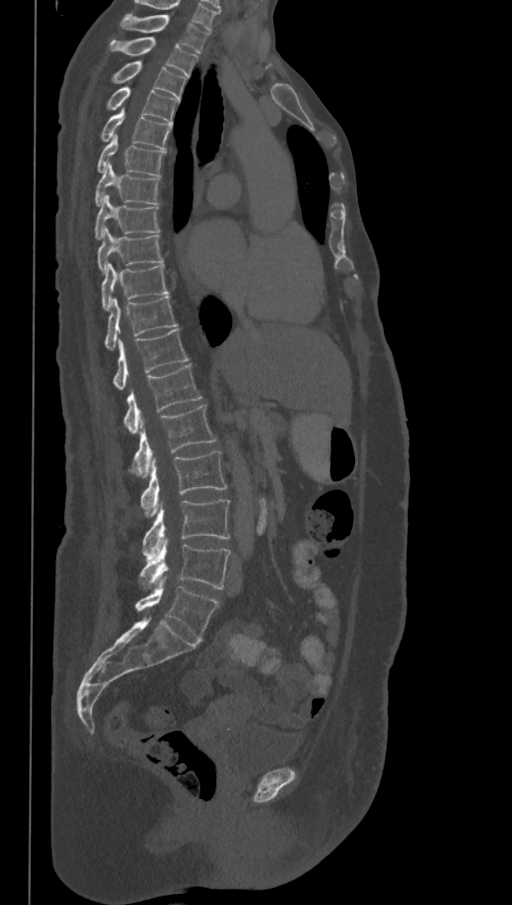 Spine CT; sagittal reformat; bone window
Boxes below are [x1, y1, x2, y2] in pixels.
The highest labeled vertebra in this scan is T1; the lowest is L6.
In these labels the spine has an L6, a sixth lumbar vertebra below L5.
{"vertebrae":{"T1":[119,14,209,53],"T2":[108,38,198,77],"T3":[110,61,187,99],"T4":[106,86,180,124],"T5":[100,111,171,149],"T6":[96,135,166,177],"T7":[94,164,160,206],"T8":[94,194,160,239],"T9":[97,228,163,273],"T10":[101,263,169,311],"T11":[104,296,177,351],"T12":[112,329,188,390],"L1":[122,364,202,432],"L2":[132,404,216,477],"L3":[140,451,227,516],"L4":[142,500,230,560],"L5":[139,540,231,589],"L6":[135,587,220,641]}}